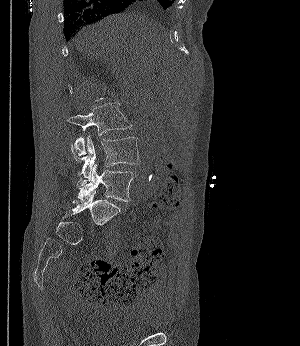
Spine computed tomography · sagittal view · bone window · 300x346 px

Coordinates as <box>x1,y1,x2,y2</box>.
L3: <box>68,102,131,155</box>
L4: <box>70,136,140,185</box>
L5: <box>78,163,135,202</box>